CT, spine; sagittal reformat; scan covers 10 annotated vertebrae
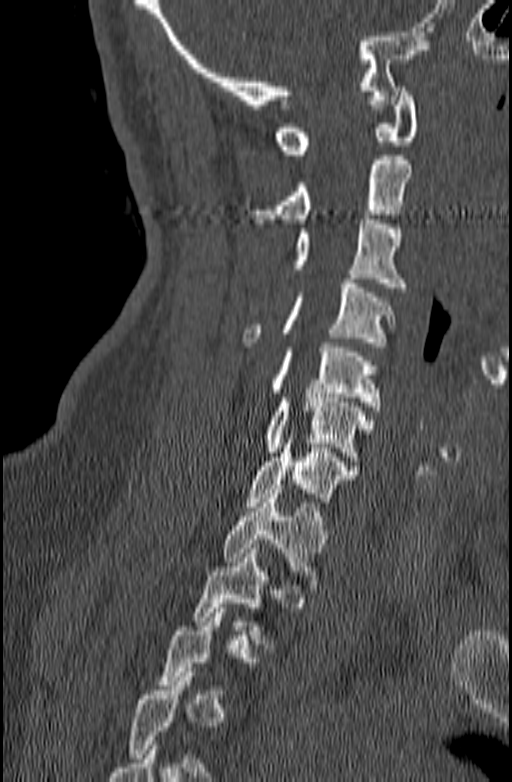
A vertebra is boxed only from the first to the last slice where its cross-section is at least a third of its largest; slices outside that range leave it without a box.
<vertebrae><v name="C1" x1="275" y1="87" x2="418" y2="154"/><v name="C2" x1="244" y1="155" x2="412" y2="223"/><v name="C3" x1="290" y1="219" x2="406" y2="292"/><v name="C4" x1="242" y1="279" x2="397" y2="351"/><v name="C5" x1="268" y1="343" x2="381" y2="410"/><v name="C6" x1="265" y1="393" x2="372" y2="461"/><v name="C7" x1="246" y1="434" x2="358" y2="506"/><v name="T1" x1="221" y1="489" x2="327" y2="589"/><v name="T2" x1="192" y1="544" x2="275" y2="648"/></vertebrae>